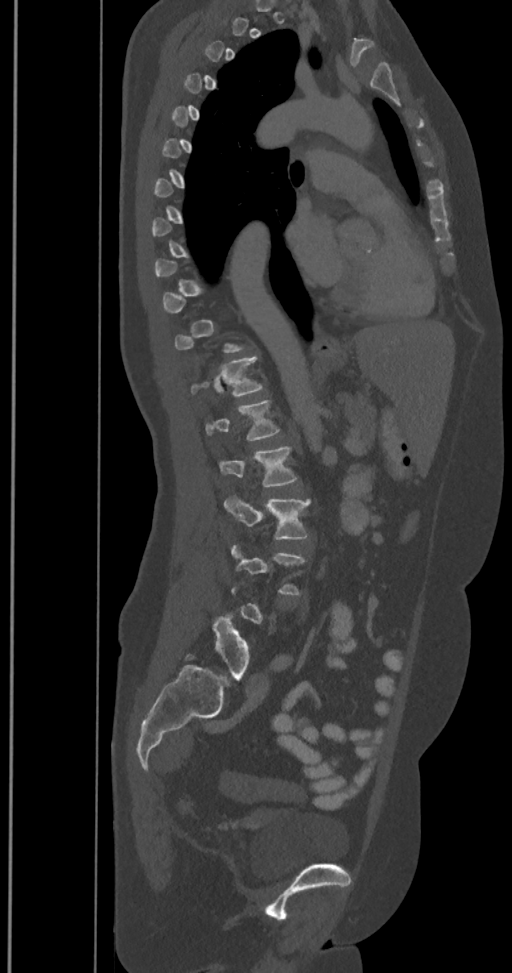

Computed tomography of the spine; the image is 350 mm wide; sagittal view; bone window; 512x973 px
A vertebra is boxed only from the first to the last slice where its cross-section is at least a third of its largest; slices outside that range leave it without a box.
The labels name a sixth lumbar vertebra for this spine: L6, after L5.
<vertebrae><v name="L6" x1="213" y1="612" x2="249" y2="678"/><v name="L3" x1="225" y1="498" x2="309" y2="539"/><v name="L2" x1="221" y1="446" x2="296" y2="486"/><v name="L1" x1="206" y1="400" x2="278" y2="440"/><v name="T12" x1="191" y1="355" x2="262" y2="395"/></vertebrae>